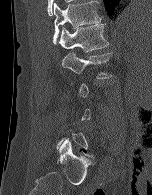

Computed tomography of the spine. image width 152 mm. sagittal view. Each box given as x1,y1,x2,y2.
Not every vertebra on this slice has a box: a vertebra is boxed only from the first to the last slice where its cross-section is at least a third of its largest, and this slice is outside that range for at least one of them.
| vertebra | x1 | y1 | x2 | y2 |
|---|---|---|---|---|
| T12 | 53 | 1 | 101 | 45 |
| L1 | 59 | 24 | 109 | 52 |
| L2 | 61 | 52 | 112 | 78 |